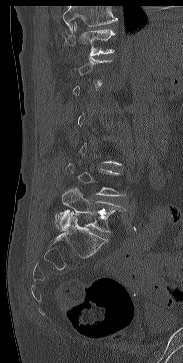

CT spine · sagittal view · 183 mm across the image
In the table, x1 and y1 are a box's top-left corner and x2 and y2 its bottom-right corner, in pixels.
A vertebra gets a box only on the slices from the first to the last where its cross-section is at least a third of its largest; on a slice outside that range it gets none.
No box is given to a vertebra that the top edge of the scan cuts off.
| vertebra | x1 | y1 | x2 | y2 |
|---|---|---|---|---|
| T11 | 65 | 21 | 115 | 55 |
| L5 | 55 | 186 | 123 | 232 |